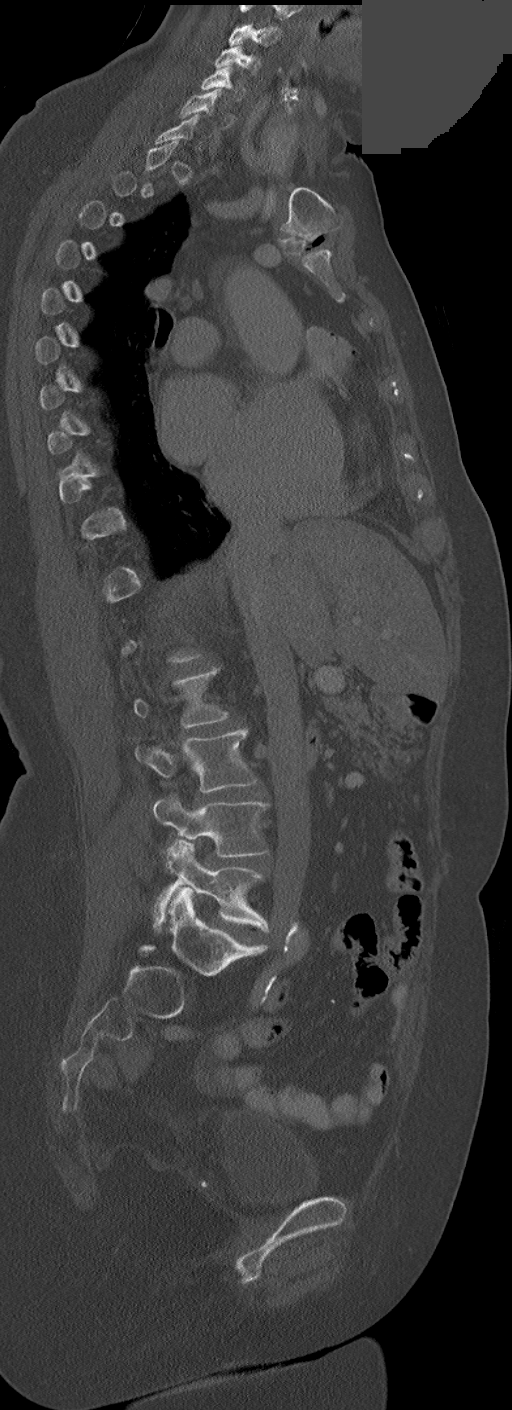

Spine computed tomography — 252 mm wide — sagittal view — some of the image was removed or blocked out with constant pixels
Each row gives a vertebra's box as x1, y1, x2, y2 in pixels: top-left corner, then bottom-right corner.
Not every vertebra on this slice has a box: a vertebra is boxed only from the first to the last slice where its cross-section is at least a third of its largest, and this slice is outside that range for at least one of them.
The highest labeled vertebra in this scan is C3; the lowest is L5.
| vertebra | x1 | y1 | x2 | y2 |
|---|---|---|---|---|
| L5 | 153 | 840 | 268 | 930 |
| L4 | 153 | 795 | 268 | 857 |
| L3 | 135 | 730 | 256 | 792 |
| C6 | 180 | 89 | 227 | 130 |
| C5 | 200 | 66 | 243 | 101 |
| C4 | 214 | 45 | 260 | 75 |
| C3 | 228 | 25 | 280 | 46 |